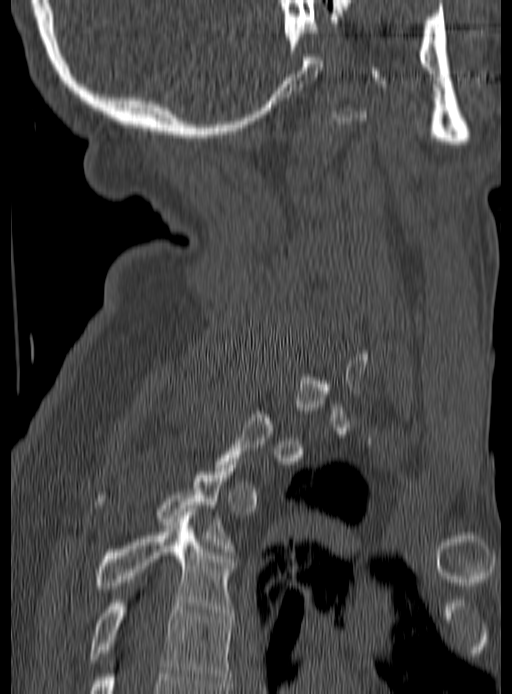 CT; sagittal view; bone-window reconstruction; image 190 mm wide

In the table, x1 and y1 are a box's top-left corner and x2 and y2 its bottom-right corner, in pixels.
Each vertebra is boxed only on the slices from the first to the last where its cross-section reaches a third of its largest, so a slice outside that range leaves it unboxed.
| vertebra | x1 | y1 | x2 | y2 |
|---|---|---|---|---|
| T5 | 90 | 600 | 234 | 683 |
| T4 | 95 | 515 | 234 | 615 |
| T3 | 95 | 465 | 234 | 551 |